CT spine · sagittal view · bone window · the image spans 445 mm across
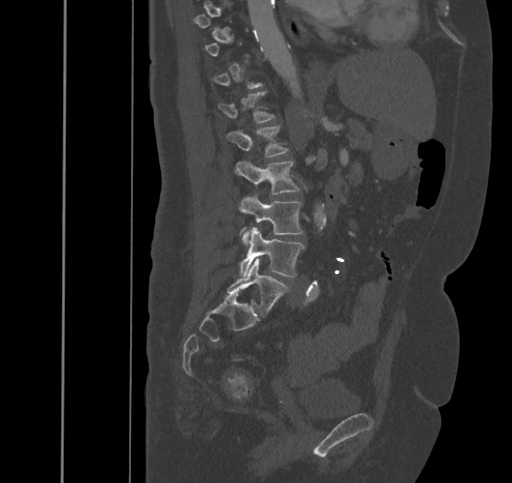
Each box given as x1,y1,x2,y2. A vertebra gets a box only on the slices from the first to the last where its cross-section is at least a third of its largest; on a slice outside that range it gets none. Vertebrae labeled: T12 at x1=218, y1=91, x2=275, y2=122, L1 at x1=227, y1=124, x2=289, y2=157, L2 at x1=235, y1=161, x2=299, y2=194, L3 at x1=239, y1=195, x2=303, y2=244, L4 at x1=240, y1=227, x2=304, y2=277, L5 at x1=226, y1=258, x2=288, y2=315.